CT spine — sagittal view — 512x589 px
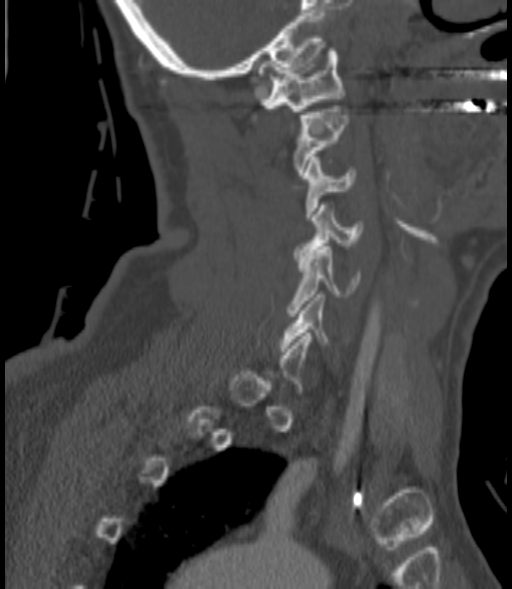

Each box given as x1,y1,x2,y2. Not every vertebra on this slice has a box: a vertebra is boxed only from the first to the last slice where its cross-section is at least a third of its largest, and this slice is outside that range for at least one of them. The labeled vertebrae in this slice are: C1 at x1=258, y1=48, x2=343, y2=111, C2 at x1=295, y1=109, x2=349, y2=175, C3 at x1=304, y1=157, x2=355, y2=217, C4 at x1=295, y1=205, x2=361, y2=258, C5 at x1=288, y1=246, x2=359, y2=316, C6 at x1=280, y1=294, x2=329, y2=351.